CT. Sagittal slice 325/512. Bone window (WL 400, WW 1800). 512x929 px. 13 vertebrae labeled in this scan
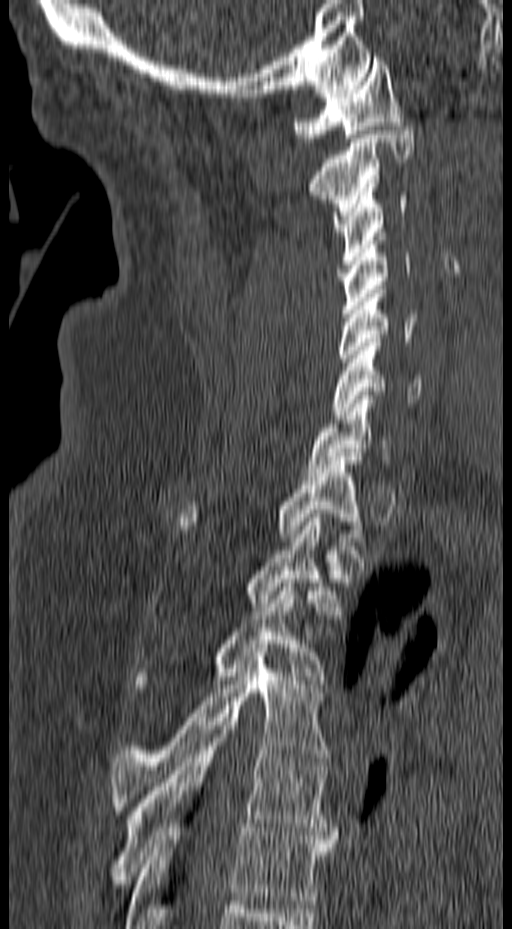
Each box given as x1,y1,x2,y2.
Vertebra bounding boxes:
- T6: x1=124, y1=828, x2=333, y2=928
- T5: x1=105, y1=726, x2=338, y2=884
- T4: x1=110, y1=648, x2=330, y2=818
- T3: x1=134, y1=579, x2=326, y2=692
- T2: x1=249, y1=514, x2=340, y2=615
- T1: x1=177, y1=457, x2=361, y2=541
- C7: x1=306, y1=391, x2=393, y2=476
- C6: x1=331, y1=338, x2=421, y2=419
- C5: x1=337, y1=285, x2=417, y2=366
- C4: x1=341, y1=236, x2=411, y2=317
- C3: x1=332, y1=183, x2=408, y2=268
- C2: x1=311, y1=126, x2=414, y2=231
- C1: x1=294, y1=57, x2=405, y2=138